Spine CT · sagittal view · bone window · 140 mm image width · scan covers 10 annotated vertebrae
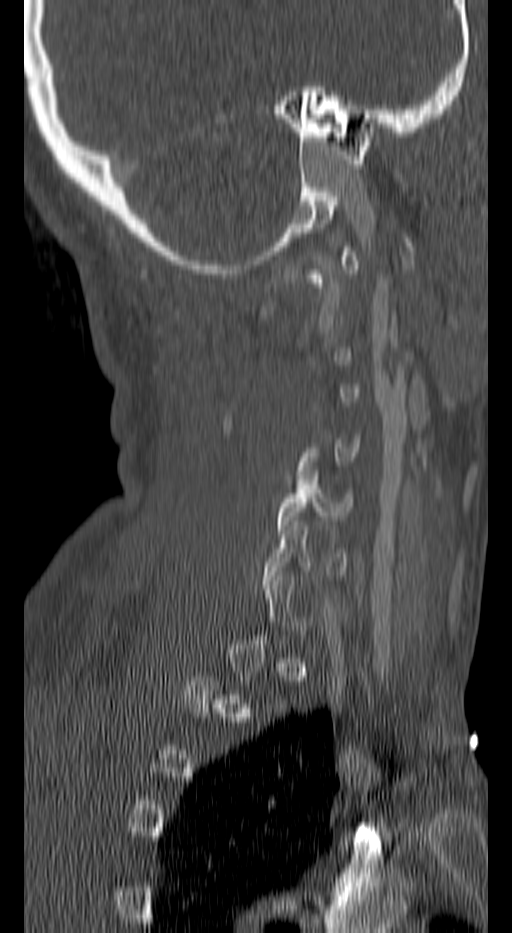

Columns x1, y1, x2, y2 give each box's top-left and bottom-right pixels.
Each vertebra is boxed only on the slices from the first to the last where its cross-section reaches a third of its largest, so a slice outside that range leaves it unboxed.
| vertebra | x1 | y1 | x2 | y2 |
|---|---|---|---|---|
| C5 | 276 | 471 | 353 | 529 |
| C6 | 265 | 521 | 347 | 589 |